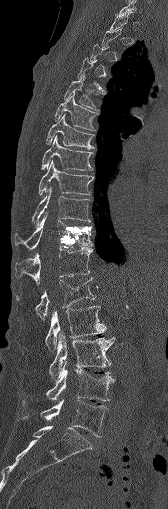

Spine computed tomography — sagittal reformat — bone-window reconstruction — 168 mm across the image
In the table, x1 and y1 are a box's top-left corner and x2 and y2 its bottom-right corner, in pixels.
A vertebra gets a box only on the slices from the first to the last where its cross-section is at least a third of its largest; on a slice outside that range it gets none.
| vertebra | x1 | y1 | x2 | y2 |
|---|---|---|---|---|
| T5 | 64 | 75 | 105 | 110 |
| T6 | 55 | 94 | 97 | 130 |
| T7 | 46 | 114 | 93 | 148 |
| T8 | 42 | 136 | 92 | 170 |
| T9 | 39 | 161 | 92 | 194 |
| T10 | 33 | 187 | 88 | 224 |
| T11 | 15 | 213 | 92 | 250 |
| T12 | 15 | 247 | 93 | 283 |
| L1 | 17 | 278 | 95 | 317 |
| L2 | 45 | 306 | 106 | 350 |
| L3 | 49 | 332 | 114 | 383 |
| L4 | 47 | 368 | 113 | 401 |
| L5 | 22 | 400 | 109 | 436 |